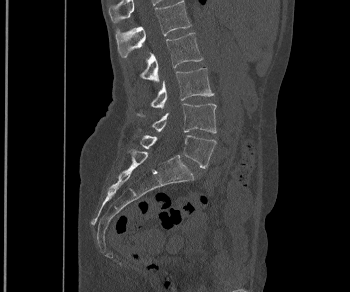
Spine CT — sagittal view — image width 350 mm — Bone window (WL 400, WW 1800). Box edges are left/top/right/bottom in pixels.
| vertebra | x1 | y1 | x2 | y2 |
|---|---|---|---|---|
| L5 | 141 | 135 | 216 | 168 |
| L4 | 152 | 103 | 216 | 133 |
| L3 | 137 | 68 | 213 | 117 |
| L2 | 140 | 32 | 202 | 83 |
| L1 | 116 | 0 | 191 | 57 |